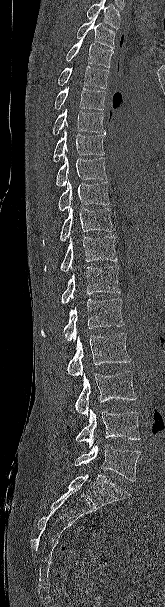
Spine computed tomography · sagittal reformat · Bone window (WL 400, WW 1800) · the image is 165 mm wide
Boxes: x1:y1:x2:y2 in pixels. Where the top of the scan cuts through a vertebra, that vertebra gets no label or box. Vertebrae labeled: T2 at 76:15:115:48, T3 at 65:37:113:67, T4 at 57:66:108:88, T5 at 54:84:105:110, T6 at 52:108:105:135, T7 at 52:130:104:162, T8 at 56:156:106:186, T9 at 57:180:109:211, T10 at 42:207:114:245, T11 at 44:235:117:272, T12 at 43:266:120:304, L1 at 41:299:124:342, L2 at 67:333:131:377, L3 at 75:371:136:416, L4 at 75:409:140:448, L5 at 74:444:140:481.